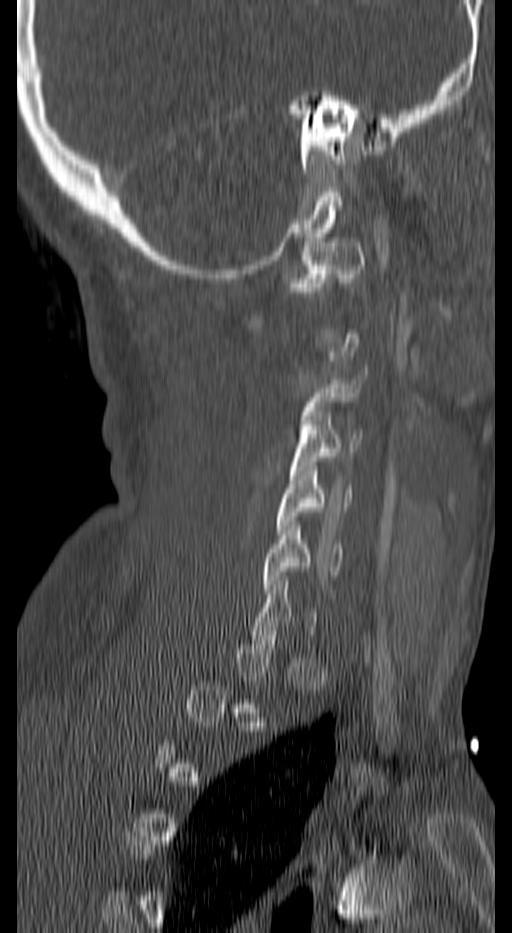
CT, spine. sagittal view. 140 mm across the image. bone-window reconstruction. 512x933 px
Each box given as x1,y1,x2,y2.
A vertebra is boxed only from the first to the last slice where its cross-section is at least a third of its largest; slices outside that range leave it without a box.
C1: x1=287, y1=242, x2=366, y2=292
C3: x1=300, y1=370, x2=366, y2=438
C4: x1=290, y1=411, x2=362, y2=479
C5: x1=276, y1=466, x2=351, y2=534
C6: x1=261, y1=521, x2=341, y2=593